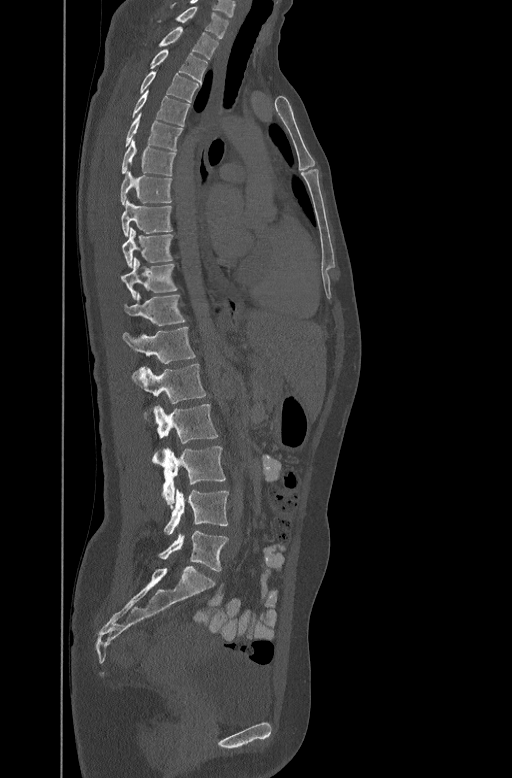 CT spine; sagittal view. Box edges are left/top/right/bottom in pixels. Vertebrae labeled: C7 at left=174, top=5, right=229, bottom=37, T1 at left=158, top=26, right=219, bottom=58, T2 at left=150, top=48, right=207, bottom=81, T3 at left=140, top=70, right=199, bottom=100, T4 at left=132, top=90, right=189, bottom=125, T5 at left=124, top=113, right=182, bottom=148, T6 at left=121, top=139, right=175, bottom=175, T7 at left=120, top=170, right=172, bottom=204, T8 at left=121, top=199, right=173, bottom=236, T9 at left=122, top=227, right=173, bottom=267, T10 at left=121, top=256, right=178, bottom=298, T11 at left=125, top=291, right=186, bottom=325, T12 at left=122, top=326, right=196, bottom=362, L1 at left=132, top=363, right=206, bottom=423, L2 at left=155, top=404, right=218, bottom=458, L3 at left=152, top=446, right=226, bottom=506, L4 at left=163, top=490, right=228, bottom=534, L5 at left=158, top=531, right=228, bottom=571.